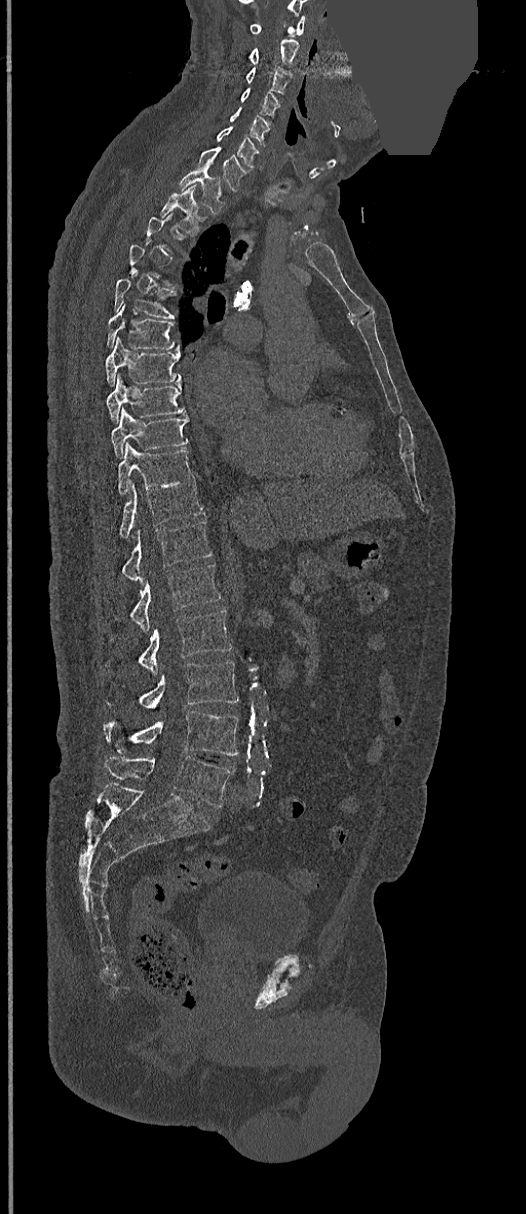
Spine computed tomography · the image spans 368 mm across · sagittal reformat · 526x1214 px · a portion of the image is blanked out (constant pixel value). Each box given as x1,y1,x2,y2.
Each vertebra is boxed only on the slices from the first to the last where its cross-section reaches a third of its largest, so a slice outside that range leaves it unboxed.
C1: x1=250, y1=16, x2=306, y2=35
C2: x1=248, y1=39, x2=299, y2=70
C3: x1=245, y1=67, x2=291, y2=95
C4: x1=240, y1=89, x2=281, y2=118
C5: x1=230, y1=107, x2=270, y2=145
C6: x1=216, y1=126, x2=259, y2=169
C7: x1=198, y1=147, x2=249, y2=190
T1: x1=179, y1=170, x2=225, y2=213
T2: x1=160, y1=184, x2=206, y2=235
T5: x1=113, y1=270, x2=178, y2=319
T6: x1=107, y1=303, x2=179, y2=350
T7: x1=106, y1=337, x2=180, y2=385
T8: x1=107, y1=374, x2=186, y2=422
T9: x1=111, y1=409, x2=189, y2=456
T10: x1=117, y1=443, x2=194, y2=495
T11: x1=118, y1=481, x2=204, y2=538
T12: x1=121, y1=520, x2=212, y2=583
L1: x1=129, y1=564, x2=220, y2=630
L2: x1=106, y1=610, x2=232, y2=672
L3: x1=106, y1=661, x2=239, y2=708
L4: x1=103, y1=711, x2=237, y2=755
L5: x1=104, y1=756, x2=232, y2=808